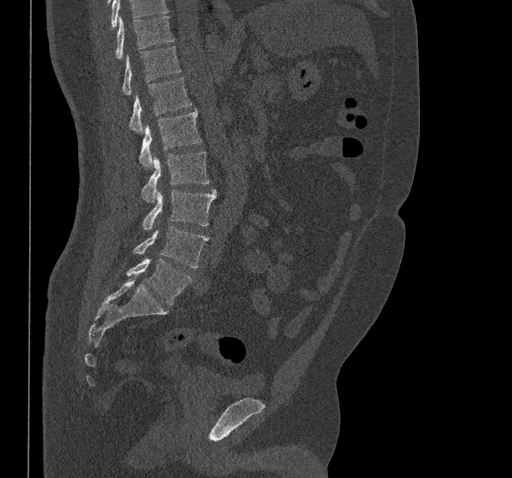 Spine CT — sagittal reformat — Bone window (WL 400, WW 1800) — 461 mm image width

Each row gives a vertebra's box as x1, y1, x2, y2 in pixels: top-left corner, then bottom-right corner.
No box is given to a vertebra that the top edge of the scan cuts off.
| vertebra | x1 | y1 | x2 | y2 |
|---|---|---|---|---|
| T10 | 116 | 16 | 173 | 58 |
| T11 | 122 | 46 | 181 | 95 |
| T12 | 129 | 77 | 191 | 133 |
| L1 | 140 | 109 | 200 | 168 |
| L2 | 142 | 151 | 209 | 201 |
| L3 | 142 | 189 | 216 | 230 |
| L4 | 133 | 226 | 208 | 267 |
| L5 | 127 | 258 | 192 | 305 |